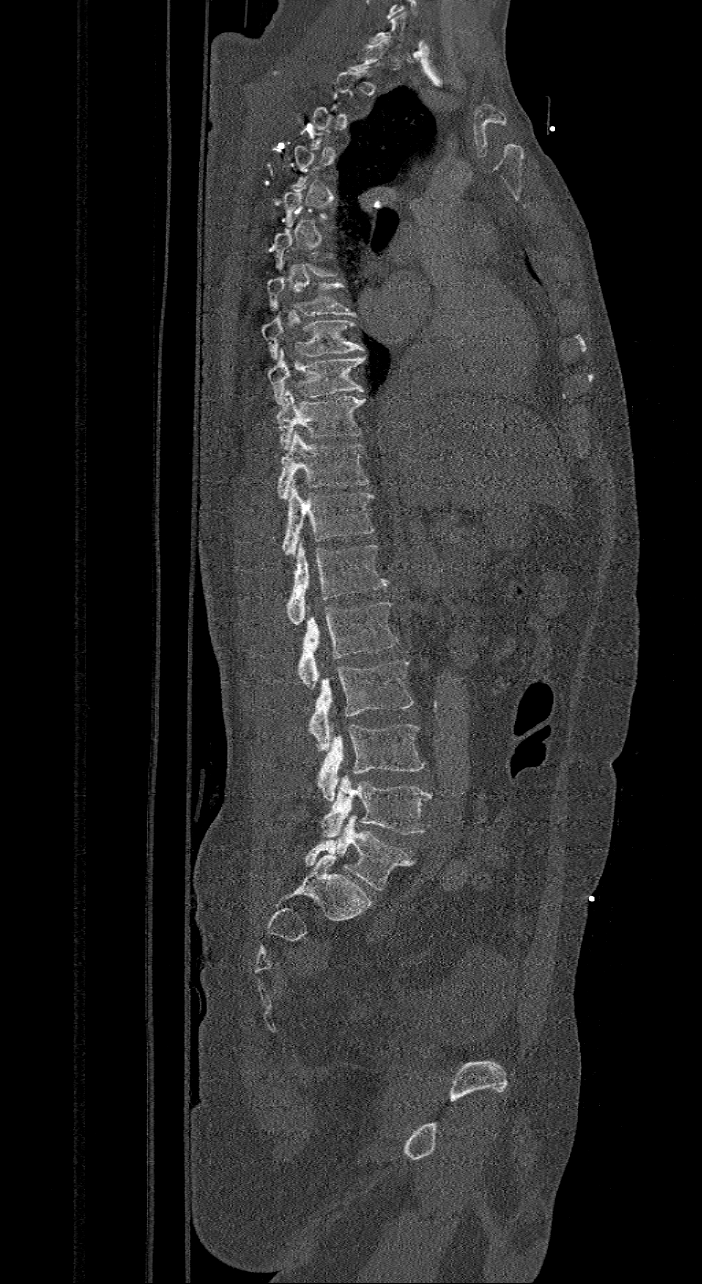 CT, spine · sagittal reformat · Bone window (WL 400, WW 1800)

Boxes: x1:y1:x2:y2 in pixels.
Not every vertebra on this slice has a box: a vertebra is boxed only from the first to the last slice where its cross-section is at least a third of its largest, and this slice is outside that range for at least one of them.
The labels name a sixth lumbar vertebra for this spine: L6, after L5.
T7: 266:271:357:315
T8: 262:312:365:359
T9: 269:347:365:404
T10: 277:389:364:448
T11: 277:430:369:498
T12: 281:482:375:559
L1: 286:542:387:625
L2: 299:602:398:688
L3: 310:661:414:750
L4: 315:724:425:801
L5: 319:776:432:837
L6: 304:814:414:890